CT, spine — sagittal view — W/L 1800/400 HU — 7 vertebrae labeled in this scan
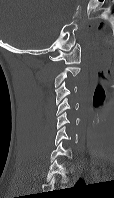 Box edges are left/top/right/bottom in pixels. Labels in this scan begin with C1 at the top and end with C7 at the bottom. 7 vertebrae labeled — C1 at left=49, top=43, right=81, bottom=64; C2 at left=54, top=66, right=80, bottom=87; C3 at left=55, top=81, right=77, bottom=105; C4 at left=56, top=98, right=78, bottom=115; C5 at left=56, top=112, right=79, bottom=129; C6 at left=54, top=126, right=77, bottom=145; C7 at left=50, top=141, right=72, bottom=161.